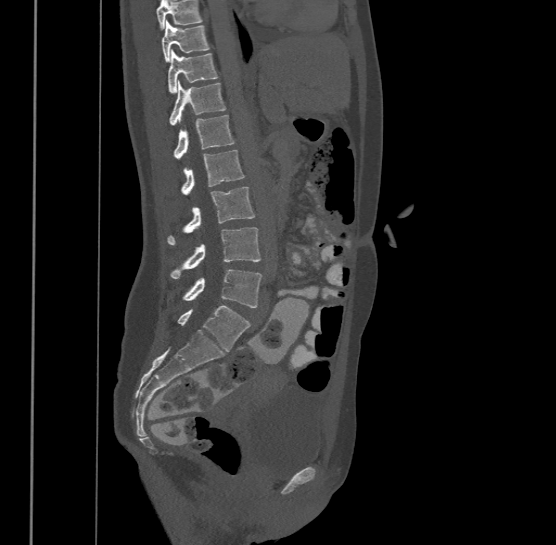
CT, spine; sagittal view; Bone window (WL 400, WW 1800)
No box is given to a vertebra that the top edge of the scan cuts off.
In this scan, the topmost labeled vertebra is T9 and the lowest is L4.
<vertebrae><v name="T9" x1="161" y1="20" x2="210" y2="61"/><v name="T10" x1="168" y1="49" x2="218" y2="92"/><v name="T11" x1="169" y1="80" x2="226" y2="124"/><v name="T12" x1="175" y1="114" x2="234" y2="157"/><v name="L1" x1="182" y1="150" x2="244" y2="194"/><v name="L2" x1="168" y1="186" x2="255" y2="243"/><v name="L3" x1="171" y1="227" x2="261" y2="278"/><v name="L4" x1="183" y1="268" x2="262" y2="307"/></vertebrae>